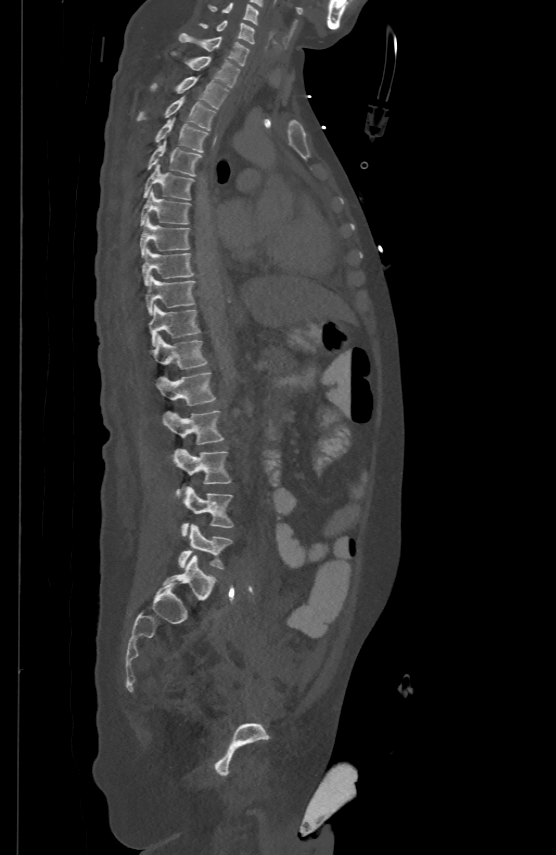

CT, spine; sagittal reformat; 500 mm wide
Each box given as x1,y1,x2,y2.
| vertebra | x1 | y1 | x2 | y2 |
|---|---|---|---|---|
| C5 | 208 | 2 | 258 | 23 |
| C6 | 200 | 20 | 255 | 43 |
| C7 | 179 | 32 | 249 | 64 |
| T1 | 173 | 51 | 240 | 86 |
| T2 | 150 | 75 | 228 | 108 |
| T3 | 137 | 95 | 216 | 129 |
| T4 | 154 | 116 | 207 | 151 |
| T5 | 148 | 140 | 201 | 175 |
| T6 | 143 | 163 | 193 | 199 |
| T7 | 140 | 190 | 190 | 224 |
| T8 | 140 | 216 | 189 | 255 |
| T9 | 142 | 247 | 193 | 284 |
| T10 | 145 | 275 | 194 | 314 |
| T11 | 149 | 304 | 200 | 345 |
| T12 | 152 | 336 | 206 | 368 |
| L1 | 156 | 371 | 215 | 404 |
| L2 | 164 | 410 | 224 | 444 |
| L3 | 174 | 448 | 231 | 497 |
| L4 | 181 | 486 | 233 | 536 |
| L5 | 178 | 524 | 232 | 569 |